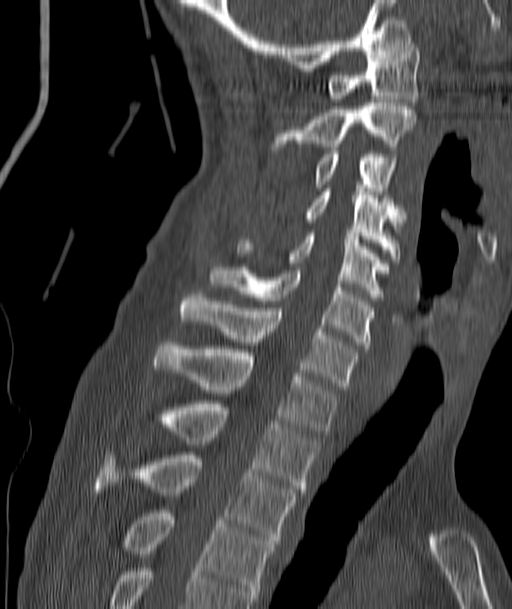

CT, spine. sagittal view. image width 187 mm
Box edges are left/top/right/bottom in pixels. Vertebrae labeled: C1 at left=327, top=41, right=419, bottom=105, C2 at left=272, top=103, right=416, bottom=150, C3 at left=313, top=151, right=394, bottom=191, C4 at left=305, top=188, right=402, bottom=259, C5 at left=236, top=233, right=383, bottom=300, C6 at left=212, top=267, right=372, bottom=348, C7 at left=179, top=291, right=356, bottom=389, T1 at left=154, top=342, right=337, bottom=434, T2 at left=160, top=400, right=317, bottom=492, T3 at left=94, top=452, right=296, bottom=543, T4 at left=124, top=510, right=274, bottom=601.